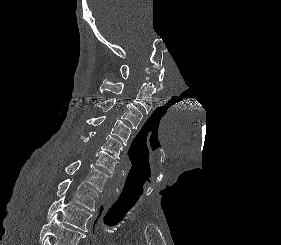 Spine CT · sagittal view · 281 mm image width · an area of the scan was removed and filled with constant pixels
Box values are [left, top, right, bottom] in pixels.
Where the bottom of the scan cuts through a vertebra, that vertebra gets no label or box.
{"vertebrae":{"C1":[120,65,164,91],"C2":[100,79,155,114],"C3":[96,98,142,128],"C4":[86,116,131,145],"C5":[80,132,122,159],"C6":[82,150,118,174],"C7":[65,160,110,191],"T1":[56,178,98,210],"T2":[47,194,92,231]}}